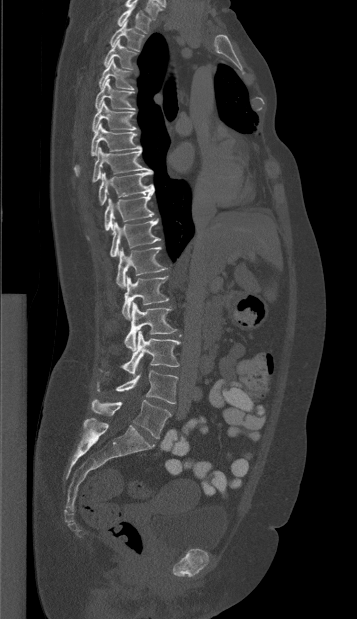
Spine CT; sagittal view; W/L 1800/400 HU

Bounding boxes as [x1, y1, x2, y2] in pixel coordinates.
Vertebra bounding boxes:
- T1: [117, 5, 151, 33]
- T2: [109, 21, 144, 50]
- T3: [103, 39, 136, 69]
- T4: [98, 59, 133, 89]
- T5: [95, 79, 134, 109]
- T6: [92, 101, 136, 132]
- T7: [74, 123, 141, 174]
- T8: [92, 147, 152, 181]
- T9: [98, 172, 154, 205]
- T10: [88, 193, 153, 238]
- T11: [110, 218, 160, 257]
- T12: [116, 247, 166, 288]
- L1: [121, 276, 168, 319]
- L2: [124, 302, 177, 350]
- L3: [106, 331, 180, 375]
- L4: [97, 370, 178, 403]
- L5: [91, 399, 171, 438]